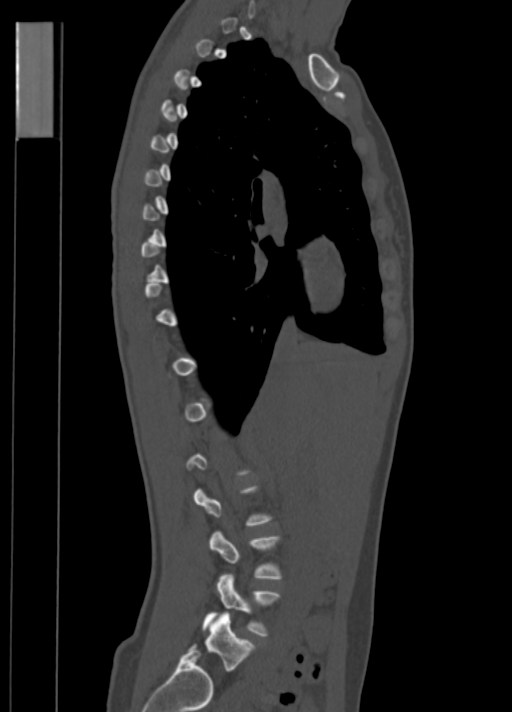 Spine CT; sagittal view; 350 mm image width

Each vertebra is boxed only on the slices from the first to the last where its cross-section reaches a third of its largest, so a slice outside that range leaves it unboxed.
<vertebrae><v name="L5" x1="206" y1="613" x2="252" y2="670"/><v name="L4" x1="203" y1="573" x2="278" y2="635"/></vertebrae>